Spine computed tomography — the image is 287 mm wide — sagittal reformat — bone window — 512x963 px
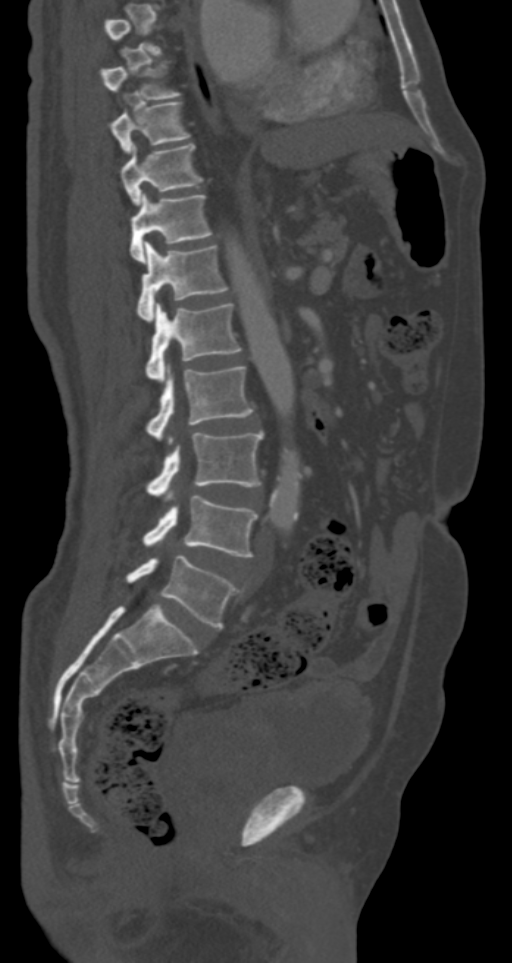

Each box is [x1, y1, x2, y2] in pixels: top-left corner, then bottom-right corner.
Not every vertebra on this slice has a box: a vertebra is boxed only from the first to the last slice where its cross-section is at least a third of its largest, and this slice is outside that range for at least one of them.
{"vertebrae":{"T8":[101,62,181,99],"T9":[110,101,189,153],"T10":[121,144,204,204],"T11":[130,192,213,262],"T12":[137,242,229,320],"L1":[146,303,241,380],"L2":[146,366,254,441],"L3":[146,431,263,499],"L4":[142,496,257,557],"L5":[126,554,241,628]}}